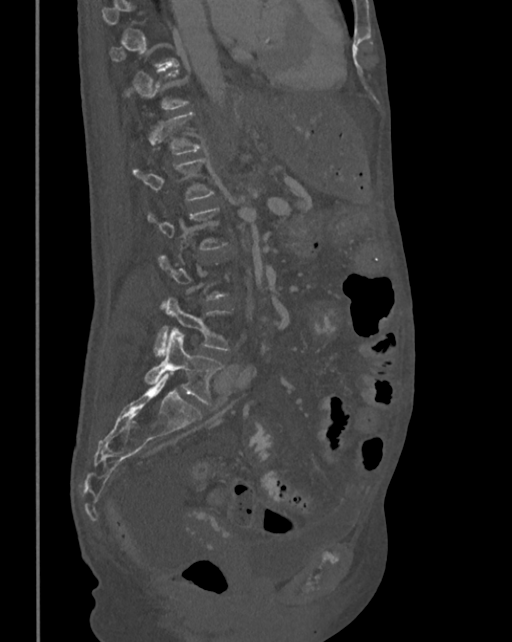 Computed tomography of the spine · sagittal reformat · 512x642 px · 342 mm wide
Each row gives a vertebra's box as x1, y1, x2, y2 in pixels: top-left corner, then bottom-right corner.
A vertebra is boxed only from the first to the last slice where its cross-section is at least a third of its largest; slices outside that range leave it without a box.
| vertebra | x1 | y1 | x2 | y2 |
|---|---|---|---|---|
| L5 | 145 | 330 | 223 | 406 |
| L4 | 154 | 297 | 231 | 354 |
| L1 | 133 | 157 | 214 | 200 |